CT, spine · sagittal plane, index 76 · Bone window (WL 400, WW 1800) · a portion of the image is blanked out (constant pixel value)
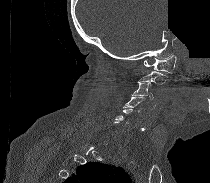
Box edges are left/top/right/bottom in pixels. Each vertebra is boxed only on the slices from the first to the last where its cross-section reaches a third of its largest, so a slice outside that range leaves it unboxed. Vertebrae labeled: C1 at left=144, top=55, right=176, bottom=72, C3 at left=130, top=81, right=153, bottom=99, C4 at left=123, top=96, right=145, bottom=112.